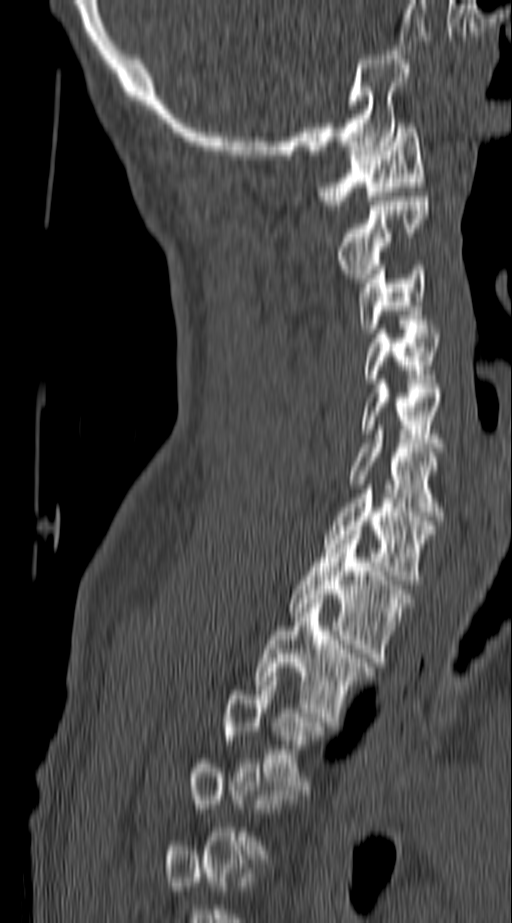 CT spine — sagittal view — Bone window (WL 400, WW 1800) — 512x923 px

Box edges are left/top/right/bottom in pixels.
Not every vertebra on this slice has a box: a vertebra is boxed only from the first to the last slice where its cross-section is at least a third of its largest, and this slice is outside that range for at least one of them.
| vertebra | x1 | y1 | x2 | y2 |
|---|---|---|---|---|
| T3 | 224 | 672 | 326 | 794 |
| T2 | 254 | 599 | 373 | 726 |
| T1 | 290 | 530 | 414 | 662 |
| C7 | 323 | 489 | 436 | 584 |
| C6 | 349 | 430 | 443 | 520 |
| C5 | 360 | 384 | 443 | 452 |
| C4 | 363 | 329 | 439 | 383 |
| C3 | 357 | 265 | 428 | 333 |
| C2 | 338 | 197 | 428 | 282 |
| C1 | 320 | 123 | 425 | 205 |